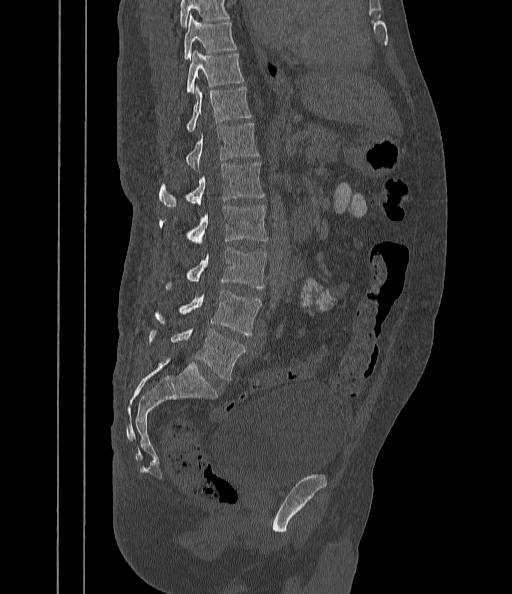 CT — the image spans 442 mm across — sagittal reformat
Columns x1, y1, x2, y2 give each box's top-left and bottom-right pixels.
Vertebrae that run past the top of the scan are left unlabeled.
| vertebra | x1 | y1 | x2 | y2 |
|---|---|---|---|---|
| L5 | 148 | 328 | 246 | 380 |
| L4 | 154 | 290 | 261 | 336 |
| L3 | 164 | 248 | 267 | 289 |
| L2 | 159 | 205 | 268 | 246 |
| L1 | 159 | 162 | 264 | 208 |
| T12 | 185 | 123 | 258 | 171 |
| T11 | 185 | 87 | 251 | 133 |
| T10 | 186 | 50 | 244 | 93 |
| T9 | 183 | 16 | 236 | 60 |